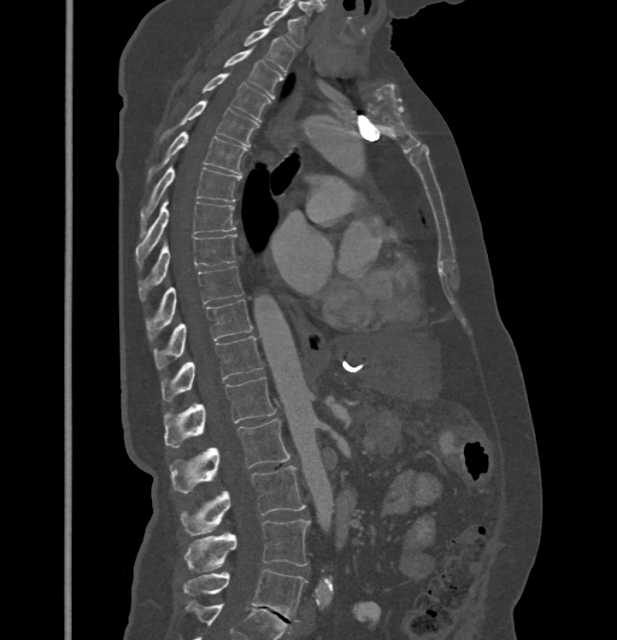
Spine computed tomography. sagittal view. image width 432 mm. 617x640 px. Coordinates as <box>x1,y1,x2,y2</box>.
In these labels the spine has no T12: the thoracic vertebrae end at T11, and L1 comes next.
L5: <box>183,569,306,622</box>
L4: <box>184,519,310,572</box>
L3: <box>180,466,305,535</box>
L2: <box>170,419,291,494</box>
L1: <box>164,376,276,448</box>
T11: <box>162,336,263,401</box>
T10: <box>154,300,252,369</box>
T9: <box>146,266,244,339</box>
T8: <box>139,235,236,301</box>
T7: <box>135,199,236,266</box>
T6: <box>140,166,241,232</box>
T5: <box>147,132,246,182</box>
T4: <box>160,100,259,146</box>
T3: <box>201,73,269,121</box>
T2: <box>224,49,283,96</box>
T1: <box>245,27,294,72</box>
C7: <box>263,7,305,48</box>